CT, spine. 199 mm image width. sagittal view. 199x227 px
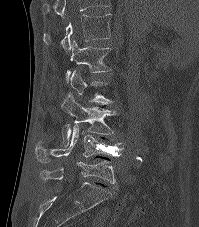 Boxes are given in columns x1, y1, x2, y2, the pixel coordinates of their top-left and bottom-right corners.
This scan's labels start at T12 at the top and end at L5 at the bottom.
| vertebra | x1 | y1 | x2 | y2 |
|---|---|---|---|---|
| T12 | 43 | 13 | 111 | 52 |
| L1 | 65 | 40 | 111 | 84 |
| L2 | 70 | 70 | 112 | 104 |
| L3 | 61 | 92 | 119 | 145 |
| L4 | 35 | 124 | 124 | 162 |
| L5 | 40 | 160 | 116 | 183 |